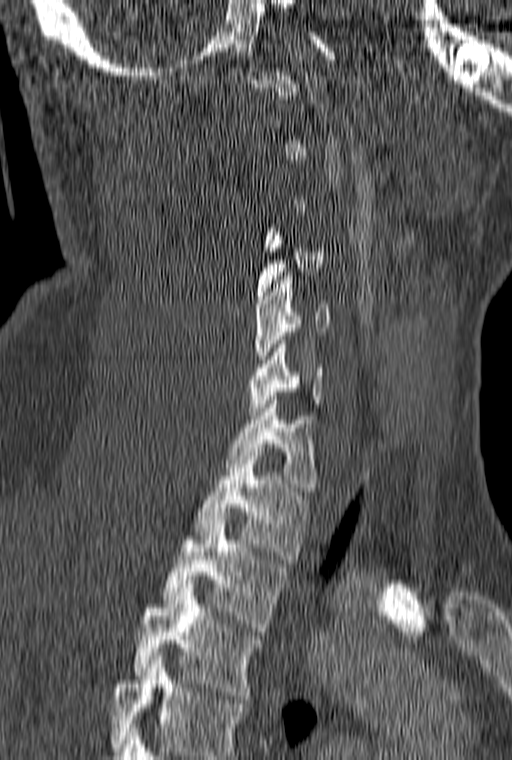

CT, spine. sagittal view. bone window. 512x760 px. image width 160 mm

Boxes: x1 y1 x2 y2 (pixel coords, space-separated). Each vertebra is boxed only on the slices from the first to the last where its cross-section reaches a third of its largest, so a slice outside that range leaves it unboxed. This scan's labels start at C1 at the top and end at T3 at the bottom. Vertebrae labeled: C5 at 254 272 330 367, C6 at 248 336 323 411, C7 at 227 396 314 495, T1 at 193 448 309 559, T2 at 164 520 285 631, T3 at 136 588 259 699.